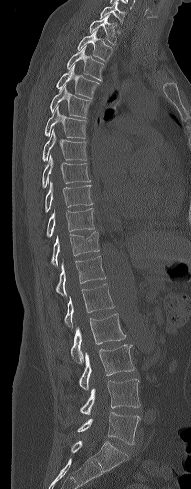 Spine CT. the image spans 191 mm across. sagittal reformat. 191x489 px

Boxes below are [x1, y1, x2, y2] in pixels.
{"vertebrae":{"C7":[100,1,126,23],"T1":[89,13,116,44],"T2":[77,28,113,61],"T3":[67,45,104,80],"T4":[56,64,99,98],"T5":[50,84,92,117],"T6":[45,107,87,138],"T7":[42,129,87,160],"T8":[42,156,90,187],"T9":[45,182,92,211],"T10":[47,208,95,236],"T11":[51,231,99,266],"T12":[56,256,106,295],"L1":[64,283,114,329],"L2":[71,313,125,364],"L3":[79,344,134,390],"L4":[80,379,140,414],"L5":[77,412,140,444]}}